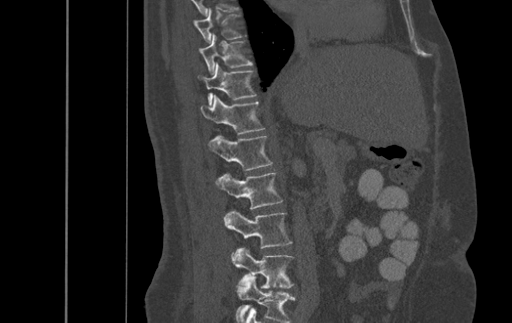

Spine computed tomography; sagittal view; 512x323 px
Labels in this scan begin with T9 at the top and end with L4 at the bottom.
<vertebrae><v name="T9" x1="193" y1="9" x2="241" y2="43"/><v name="T10" x1="199" y1="34" x2="252" y2="74"/><v name="T11" x1="198" y1="63" x2="256" y2="105"/><v name="T12" x1="201" y1="94" x2="264" y2="134"/><v name="L1" x1="208" y1="136" x2="271" y2="170"/><v name="L2" x1="215" y1="172" x2="283" y2="209"/><v name="L3" x1="223" y1="211" x2="292" y2="248"/><v name="L4" x1="232" y1="248" x2="293" y2="288"/></vertebrae>